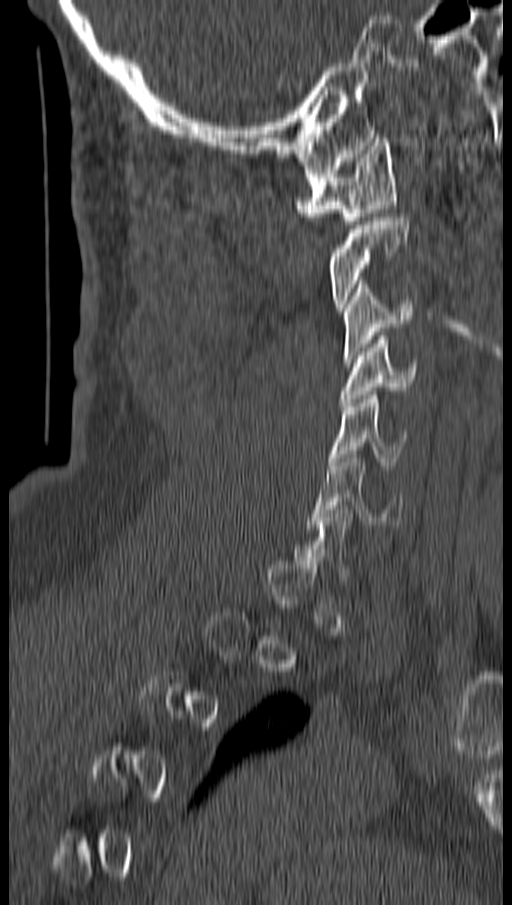

Spine CT — sagittal reformat — bone-window reconstruction. Boxes: x1:y1:x2:y2 in pixels.
A vertebra gets a box only on the slices from the first to the last where its cross-section is at least a third of its largest; on a slice outside that range it gets none.
Vertebra bounding boxes:
- C1: 295:138:398:224
- C2: 327:217:408:311
- C3: 344:280:412:362
- C4: 339:336:417:406
- C5: 330:391:409:469
- C6: 308:454:402:528